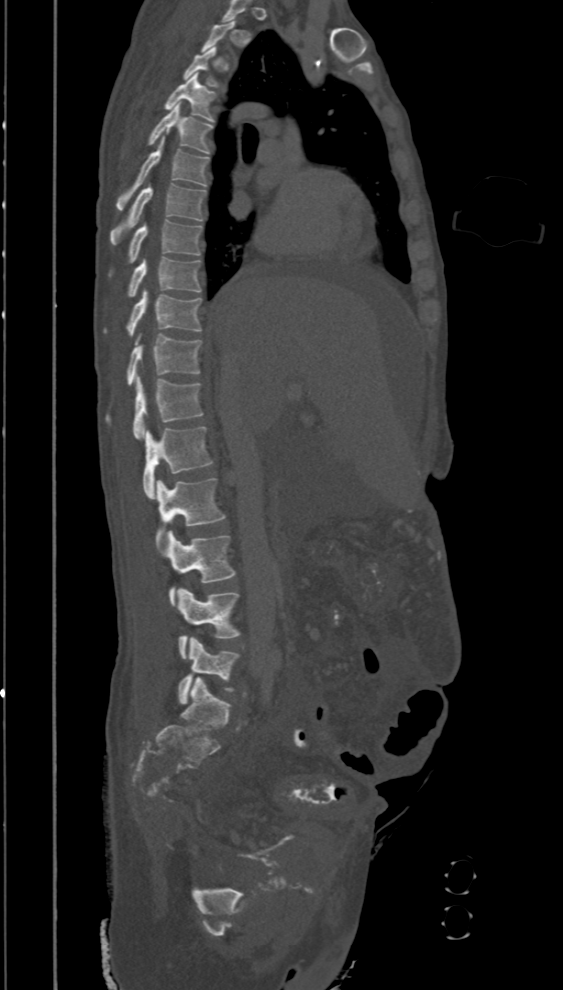

CT · sagittal view · the image spans 394 mm across. Boxes: x1:y1:x2:y2 in pixels.
A vertebra gets a box only on the slices from the first to the last where its cross-section is at least a third of its largest; on a slice outside that range it gets none.
T3: 182:47:224:89
T4: 163:73:216:122
T5: 147:105:213:154
T6: 115:137:209:209
T7: 110:183:206:245
T8: 109:220:201:277
T9: 128:257:201:298
T10: 102:289:201:336
T11: 126:333:202:385
T12: 106:375:203:439
L1: 143:426:213:498
L2: 155:477:225:533
L3: 155:531:236:605
L4: 175:586:240:658
L5: 176:636:240:705